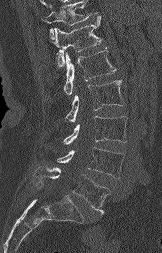

CT spine — sagittal view — bone window — 162x253 px
Coordinates as <box>x1,y1,x2,y2</box>. Where the top of the scan cuts through a vertebra, that vertebra gets no label or box. 6 vertebrae labeled — L5 at <box>35,166,108,215</box>; L4 at <box>57,147,123,178</box>; L3 at <box>63,116,127,144</box>; L2 at <box>66,80,124,122</box>; L1 at <box>64,50,116,95</box>; T12 at <box>54,16,102,67</box>.